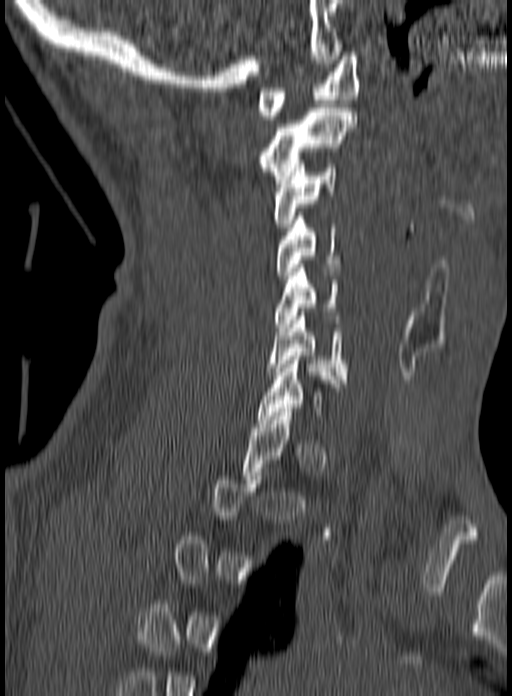 CT, spine. sagittal view. bone-window reconstruction. 512x696 px
Boxes: x1 y1 x2 y2 (pixel coords, space-separated).
Each vertebra is boxed only on the slices from the first to the last where its cross-section reaches a third of its largest, so a slice outside that range leaves it unboxed.
Vertebra bounding boxes:
- C1: 256 52 359 119
- C2: 258 104 355 187
- C3: 273 160 336 231
- C4: 276 212 341 279
- C5: 275 264 338 331
- C6: 266 308 347 383